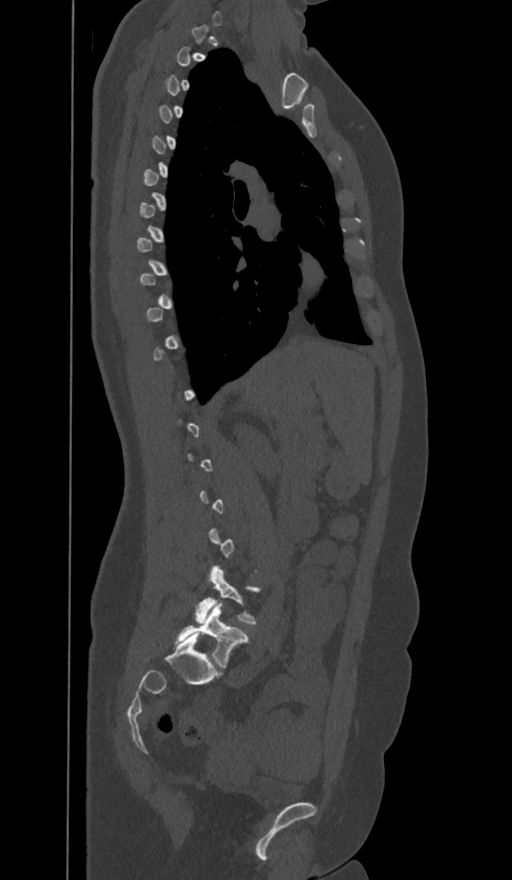
CT spine; sagittal view; 512x880 px

A vertebra gets a box only on the slices from the first to the last where its cross-section is at least a third of its largest; on a slice outside that range it gets none.
In these labels the spine has an L6, a sixth lumbar vertebra below L5.
<vertebrae><v name="L5" x1="196" y1="567" x2="259" y2="624"/><v name="L6" x1="176" y1="602" x2="248" y2="668"/></vertebrae>